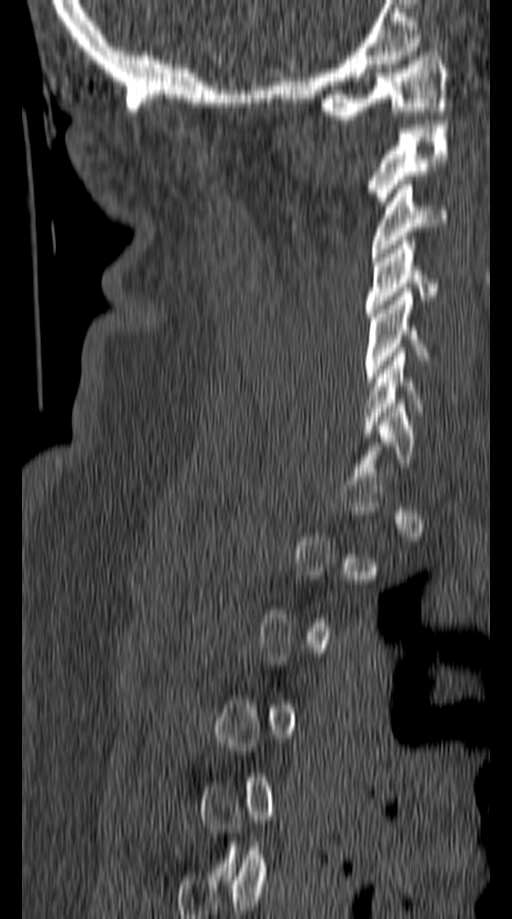

CT · sagittal view · 512x919 px. Boxes are (x1, y1, x2, y2) in pixels.
A vertebra is boxed only from the first to the last slice where its cross-section is at least a third of its largest; slices outside that range leave it without a box.
C1: (319, 47, 447, 119)
C2: (369, 120, 447, 205)
C3: (372, 180, 447, 257)
C4: (365, 241, 439, 317)
C5: (364, 292, 430, 386)
C6: (363, 352, 458, 433)